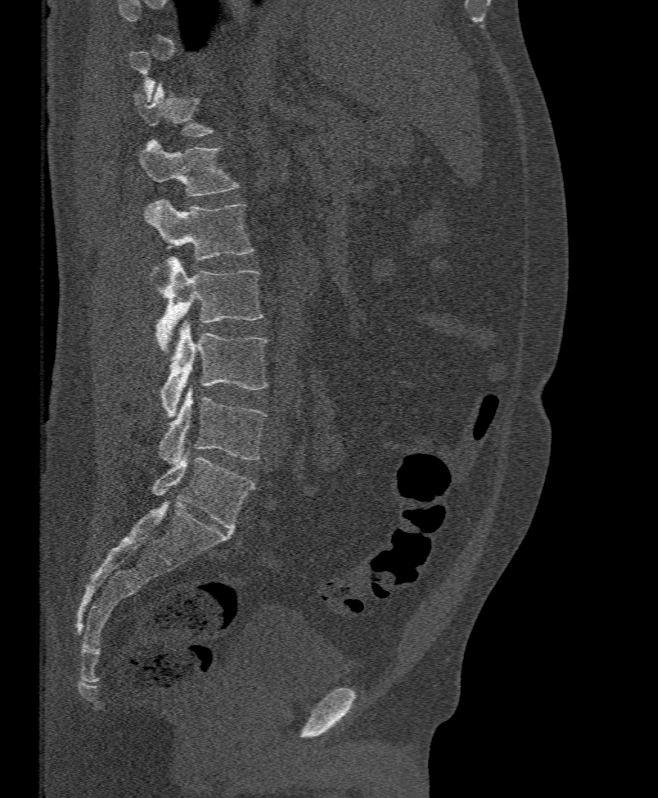

CT — image width 395 mm — sagittal reformat — 658x798 px

Each vertebra maps to its box as [x1, y1, x2, y2], the pixel coordinates of its top-left and bottom-right corners.
A vertebra gets a box only on the slices from the first to the last where its cross-section is at least a third of its largest; on a slice outside that range it gets none.
{"vertebrae":{"L5":[158,385,265,464],"L4":[159,320,268,417],"L3":[154,257,263,351],"L2":[143,198,254,272],"L1":[138,138,239,196],"T12":[134,84,214,136]}}